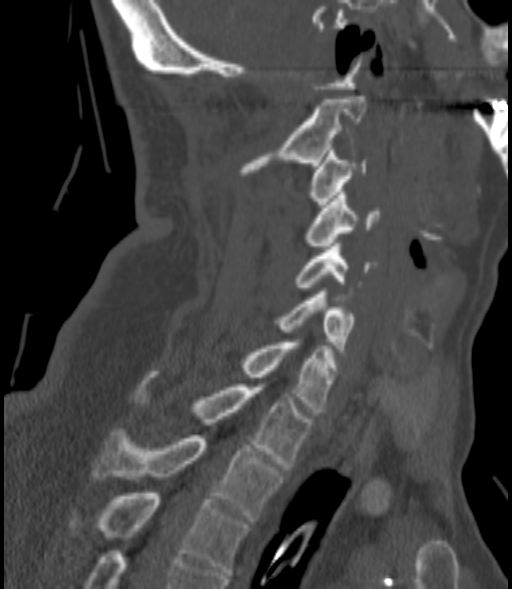 Computed tomography of the spine · sagittal view · bone-window reconstruction

<vertebrae><v name="C2" x1="241" y1="96" x2="366" y2="172"/><v name="C3" x1="311" y1="147" x2="368" y2="207"/><v name="C4" x1="305" y1="192" x2="379" y2="249"/><v name="C5" x1="295" y1="243" x2="371" y2="290"/><v name="C6" x1="280" y1="291" x2="355" y2="351"/><v name="C7" x1="241" y1="339" x2="335" y2="415"/><v name="T1" x1="134" y1="381" x2="310" y2="466"/><v name="T2" x1="93" y1="429" x2="281" y2="521"/><v name="T3" x1="67" y1="493" x2="248" y2="575"/></vertebrae>